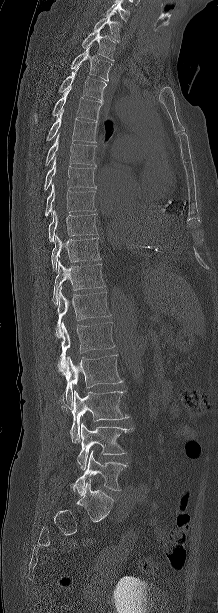
CT spine; sagittal view
Coordinates as <box>x1,y1,x2,y2</box>.
This scan's labels start at C7 at the top and end at L5 at the bottom.
C7: <box>94,14,121,42</box>
T1: <box>82,29,116,61</box>
T2: <box>71,47,113,81</box>
T3: <box>59,68,106,99</box>
T4: <box>52,86,103,121</box>
T5: <box>47,109,97,142</box>
T6: <box>45,133,96,165</box>
T7: <box>44,157,96,190</box>
T8: <box>45,183,95,216</box>
T9: <box>48,210,97,242</box>
T10: <box>51,236,100,270</box>
T11: <box>52,261,104,304</box>
T12: <box>55,287,110,337</box>
L1: <box>59,322,114,372</box>
L2: <box>63,354,123,409</box>
L3: <box>70,390,129,442</box>
L4: <box>77,423,132,469</box>
L5: <box>70,450,127,492</box>